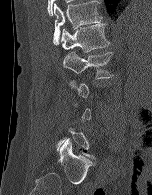

Computed tomography of the spine. sagittal view. 152 mm wide
A vertebra gets a box only on the slices from the first to the last where its cross-section is at least a third of its largest; on a slice outside that range it gets none.
<vertebrae><v name="T12" x1="53" y1="0" x2="102" y2="45"/><v name="L1" x1="61" y1="23" x2="110" y2="52"/><v name="L2" x1="62" y1="51" x2="114" y2="78"/></vertebrae>